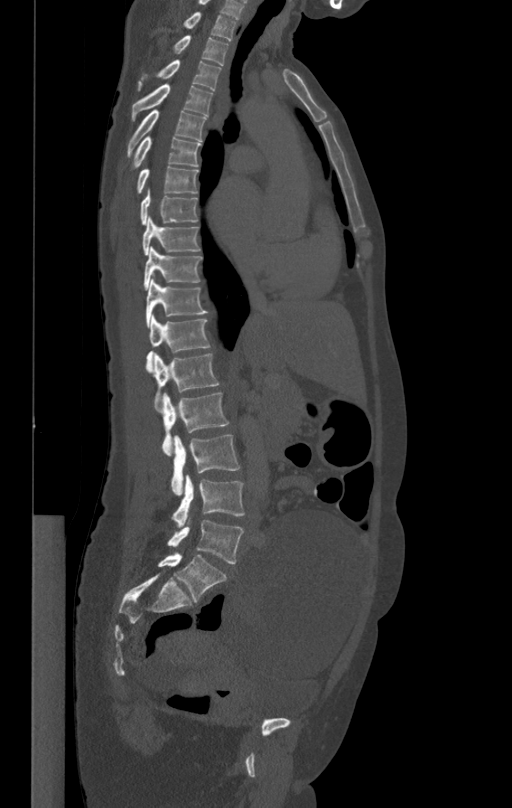

Computed tomography of the spine; sagittal view; Bone window (WL 400, WW 1800)

<vertebrae><v name="T1" x1="176" y1="12" x2="236" y2="39"/><v name="T2" x1="171" y1="36" x2="228" y2="65"/><v name="T3" x1="137" y1="59" x2="220" y2="91"/><v name="T4" x1="132" y1="84" x2="213" y2="121"/><v name="T5" x1="127" y1="110" x2="206" y2="156"/><v name="T6" x1="133" y1="136" x2="200" y2="167"/><v name="T7" x1="138" y1="167" x2="198" y2="192"/><v name="T8" x1="140" y1="189" x2="198" y2="225"/><v name="T9" x1="143" y1="216" x2="200" y2="255"/><v name="T10" x1="144" y1="246" x2="201" y2="289"/><v name="T11" x1="147" y1="280" x2="208" y2="327"/><v name="T12" x1="146" y1="315" x2="209" y2="371"/><v name="L1" x1="154" y1="352" x2="219" y2="408"/><v name="L2" x1="159" y1="393" x2="229" y2="455"/><v name="L3" x1="171" y1="435" x2="240" y2="494"/><v name="L4" x1="173" y1="474" x2="244" y2="527"/><v name="L5" x1="168" y1="519" x2="244" y2="563"/></vertebrae>